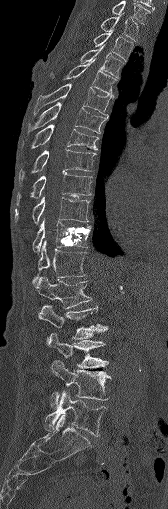 CT spine · sagittal view. Boxes: x1:y1:x2:y2 in pixels.
Vertebra bounding boxes:
- C7: 112:1:150:24
- T1: 101:14:138:41
- T2: 94:32:133:59
- T3: 80:45:124:76
- T4: 49:59:116:95
- T5: 34:83:110:116
- T6: 28:102:106:132
- T7: 20:124:97:149
- T8: 17:149:95:185
- T9: 16:172:91:205
- T10: 14:197:89:223
- T11: 32:221:90:252
- T12: 33:240:85:282
- L1: 35:277:92:308
- L2: 38:304:107:339
- L3: 47:331:108:367
- L4: 51:360:110:408
- L5: 44:390:107:436